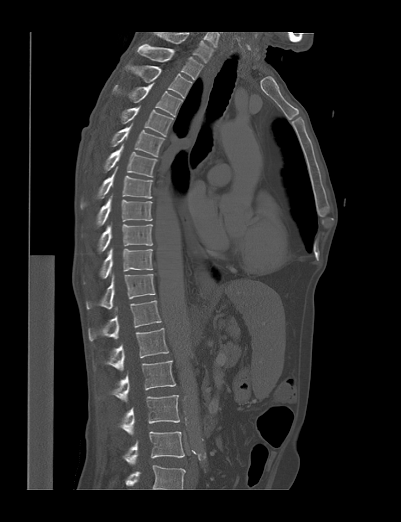

Spine computed tomography; sagittal reformat; 401x522 px
Each vertebra maps to its box as [x1, y1, x2, y2], the pixel coordinates of its top-left and bottom-right corners.
In this scan, the topmost labeled vertebra is T1 and the lowest is L4.
{"vertebrae":{"T1":[137,43,203,79],"T2":[124,65,192,98],"T3":[113,82,183,117],"T4":[120,106,173,136],"T5":[111,123,164,157],"T6":[104,143,157,177],"T7":[81,167,153,206],"T8":[96,195,152,226],"T9":[98,224,152,253],"T10":[98,248,153,278],"T11":[86,274,155,309],"T12":[88,300,161,341],"L1":[94,328,168,370],"L2":[112,360,175,401],"L3":[118,395,179,434],"L4":[123,431,184,464]}}